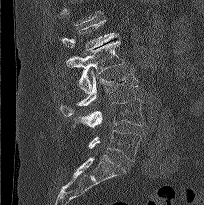

CT, spine; sagittal reformat; 204x205 px
Boxes below are [x1, y1, x2, y2] in pixels.
Vertebrae that run past the top of the scan are left unlabeled.
{"vertebrae":{"L5":[88,130,141,161],"L4":[72,99,144,127],"L3":[60,68,138,116],"L2":[67,39,124,93],"L1":[59,20,118,50]}}